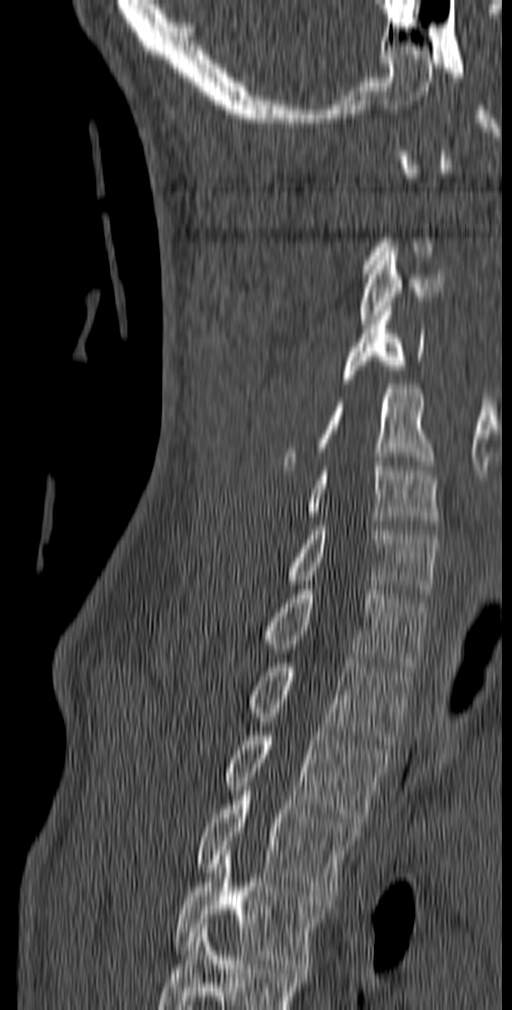

CT — sagittal reformat — bone-window reconstruction

Boxes are (x1, y1, x2, y2) in pixels.
Not every vertebra on this slice has a box: a vertebra is boxed only from the first to the last slice where its cross-section is at least a third of its largest, and this slice is outside that range for at least one of them.
This scan's labels start at C1 at the top and end at T5 at the bottom.
C3: (359, 247, 444, 324)
C4: (343, 302, 424, 383)
C5: (283, 384, 432, 470)
C6: (306, 462, 439, 529)
C7: (287, 521, 438, 598)
T1: (263, 585, 427, 671)
T2: (249, 658, 412, 744)
T3: (224, 727, 388, 826)
T4: (199, 791, 360, 900)
T5: (173, 846, 322, 968)